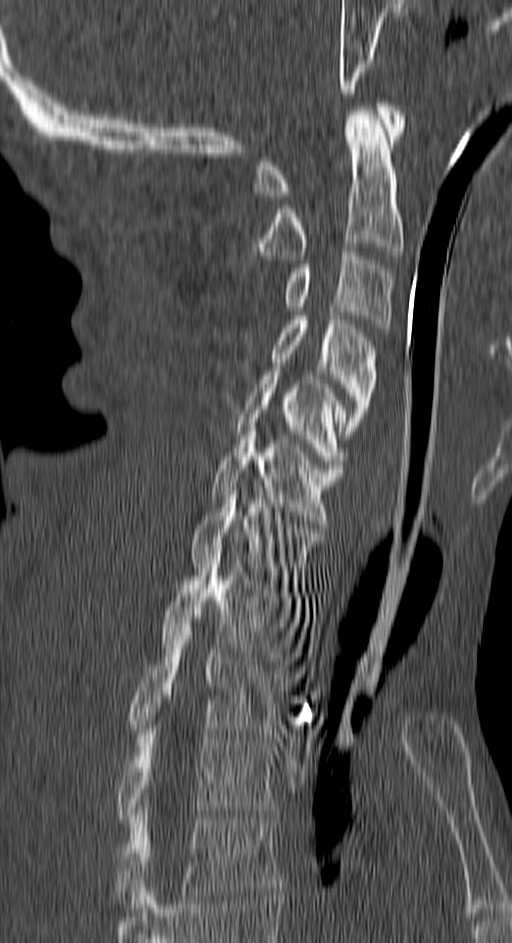 Spine CT. sagittal view

Boxes are (x1, y1, x2, y2) in pixels.
Vertebra bounding boxes:
- T4: (114, 811, 280, 908)
- T3: (117, 730, 277, 822)
- T2: (128, 627, 287, 737)
- T1: (158, 559, 301, 660)
- C7: (189, 491, 324, 588)
- C6: (209, 427, 342, 524)
- C5: (237, 371, 347, 468)
- C4: (271, 316, 376, 438)
- C3: (285, 252, 393, 332)
- C2: (250, 107, 403, 259)
- C1: (256, 102, 403, 195)